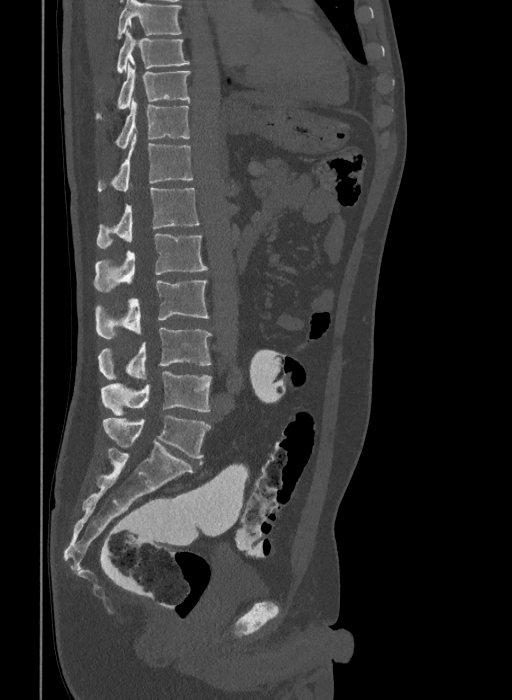 Spine computed tomography. sagittal view. Box edges are left/top/right/bottom in pixels. Labels in this scan begin with T9 at the top and end with L6 at the bottom. In these labels the spine has an L6, a sixth lumbar vertebra below L5. The labeled vertebrae in this slice are: T9 at left=116, top=29, right=189, bottom=73, T10 at left=95, top=63, right=190, bottom=121, T11 at left=114, top=99, right=189, bottom=148, T12 at left=98, top=134, right=193, bottom=192, L1 at left=96, top=188, right=199, bottom=248, L2 at left=94, top=234, right=208, bottom=292, L3 at left=95, top=281, right=209, bottom=338, L4 at left=98, top=328, right=212, bottom=380, L5 at left=101, top=372, right=212, bottom=415, L6 at left=103, top=416, right=210, bottom=458.